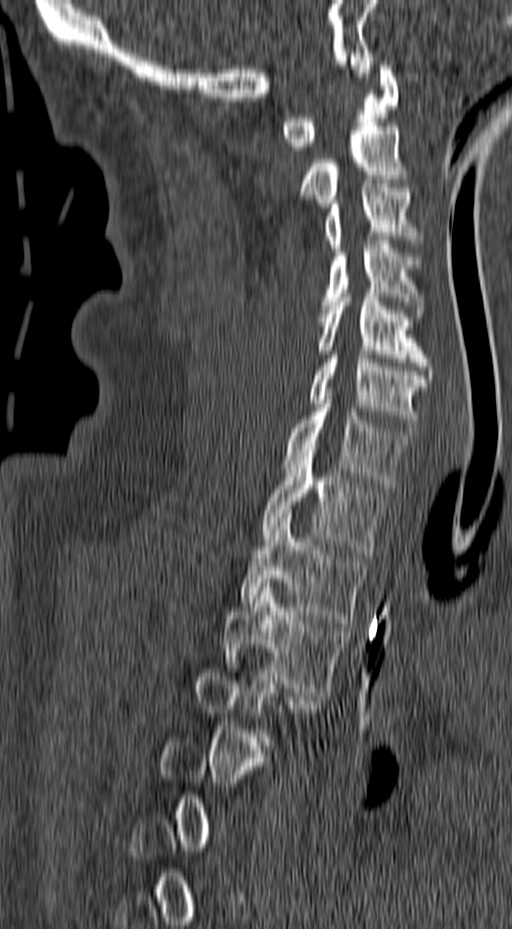
CT, spine · sagittal view
Each box given as x1,y1,x2,y2. A vertebra gets a box only on the slices from the first to the last where its cross-section is at least a third of its largest; on a slice outside that range it gets none. 10 vertebrae labeled — C1 at x1=280, y1=65, x2=398, y2=150; C2 at x1=298, y1=122, x2=411, y2=207; C3 at x1=324, y1=183, x2=424, y2=252; C4 at x1=321, y1=241, x2=425, y2=317; C5 at x1=317, y1=289, x2=433, y2=386; C6 at x1=308, y1=351, x2=427, y2=431; C7 at x1=283, y1=391, x2=414, y2=488; T1 at x1=261, y1=448, x2=385, y2=557; T2 at x1=239, y1=514, x2=365, y2=627; T3 at x1=223, y1=583, x2=349, y2=696.